Spine computed tomography. sagittal view. Bone window (WL 400, WW 1800). image 391 mm wide. 391x670 px
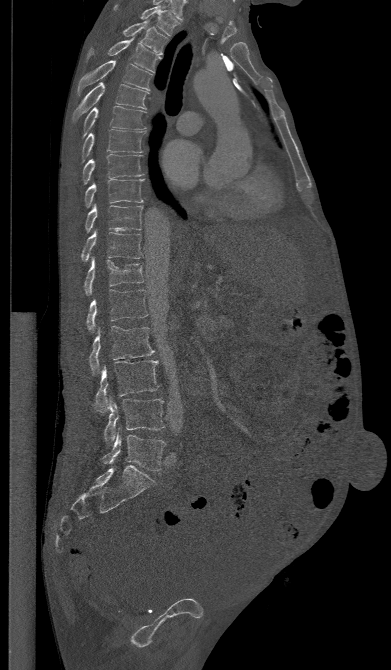 Bounding boxes as [x1, y1, x2, y2] in pixel coordinates.
L5: [101, 434, 165, 471]
L4: [104, 399, 164, 444]
L3: [92, 360, 159, 413]
L2: [88, 326, 154, 374]
L1: [86, 289, 147, 330]
T12: [83, 256, 143, 295]
T11: [81, 231, 142, 261]
T10: [85, 205, 142, 232]
T9: [84, 179, 143, 207]
T8: [81, 154, 143, 184]
T7: [80, 129, 146, 163]
T6: [81, 106, 145, 140]
T5: [72, 82, 149, 122]
T4: [77, 60, 152, 95]
T3: [86, 38, 162, 72]
T2: [123, 19, 168, 54]
T1: [113, 4, 180, 35]